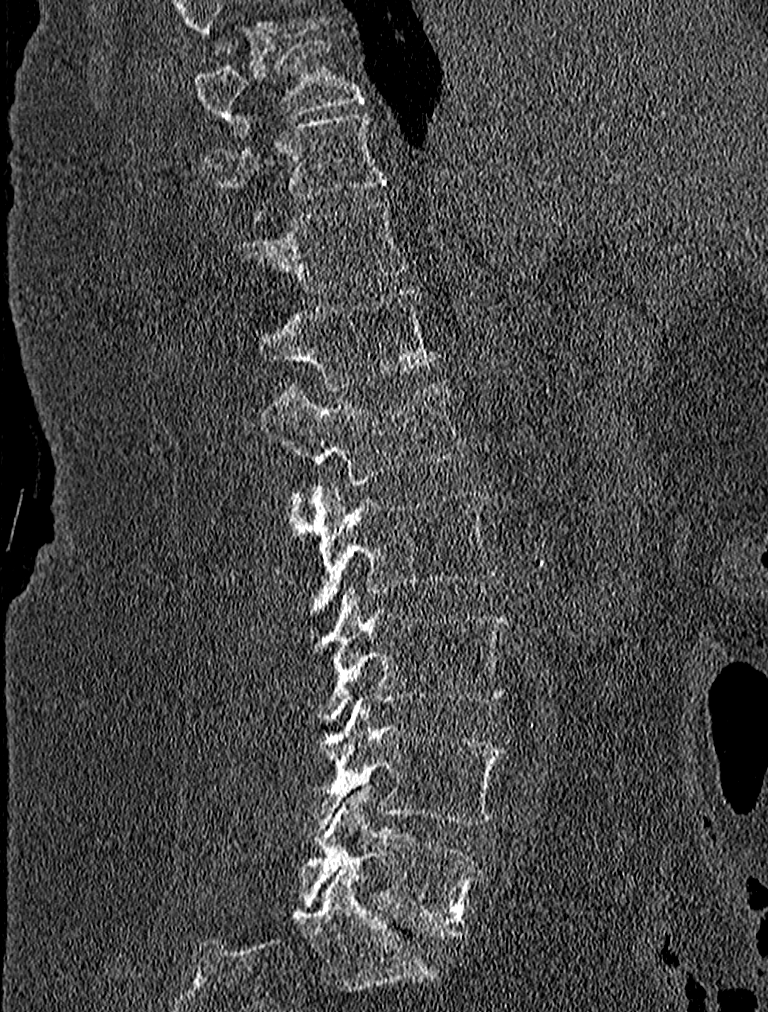 Spine CT — sagittal view — Bone window (WL 400, WW 1800)
This scan's labels start at T9 at the top and end at L5 at the bottom.
<vertebrae><v name="L5" x1="300" y1="787" x2="485" y2="938"/><v name="L4" x1="295" y1="699" x2="507" y2="833"/><v name="L3" x1="310" y1="588" x2="509" y2="718"/><v name="L2" x1="286" y1="481" x2="499" y2="617"/><v name="L1" x1="259" y1="379" x2="468" y2="486"/><v name="T12" x1="257" y1="288" x2="438" y2="389"/><v name="T11" x1="231" y1="199" x2="404" y2="293"/><v name="T10" x1="203" y1="111" x2="387" y2="221"/><v name="T9" x1="195" y1="38" x2="363" y2="138"/></vertebrae>